Spine CT; Sagittal slice 214/444
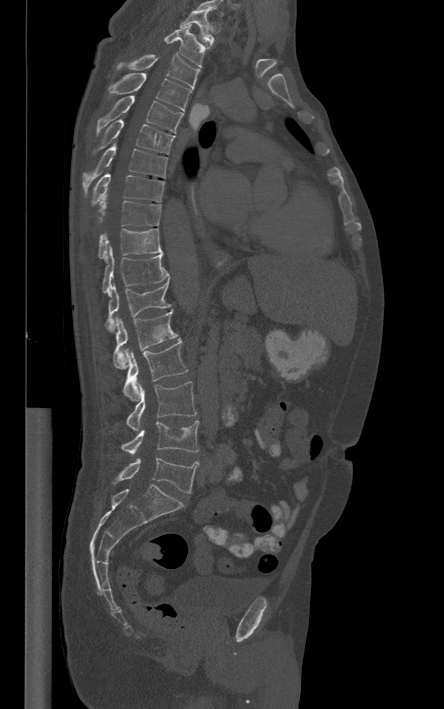
Each box given as x1,y1,x2,y2.
Labels in this scan begin with T1 at the top and end with L5 at the bottom.
T1: x1=179, y1=11, x2=213, y2=45
T2: x1=164, y1=24, x2=207, y2=67
T3: x1=118, y1=54, x2=199, y2=88
T4: x1=109, y1=73, x2=191, y2=112
T5: x1=95, y1=95, x2=183, y2=135
T6: x1=94, y1=119, x2=174, y2=154
T7: x1=83, y1=142, x2=167, y2=192
T8: x1=91, y1=174, x2=164, y2=205
T9: x1=98, y1=196, x2=160, y2=225
T10: x1=98, y1=228, x2=162, y2=259
T11: x1=102, y1=246, x2=169, y2=294
T12: x1=105, y1=281, x2=170, y2=332
L1: x1=113, y1=310, x2=177, y2=369
L2: x1=123, y1=339, x2=187, y2=400
L3: x1=127, y1=382, x2=196, y2=431
L4: x1=121, y1=421, x2=198, y2=455
L5: x1=118, y1=457, x2=198, y2=493